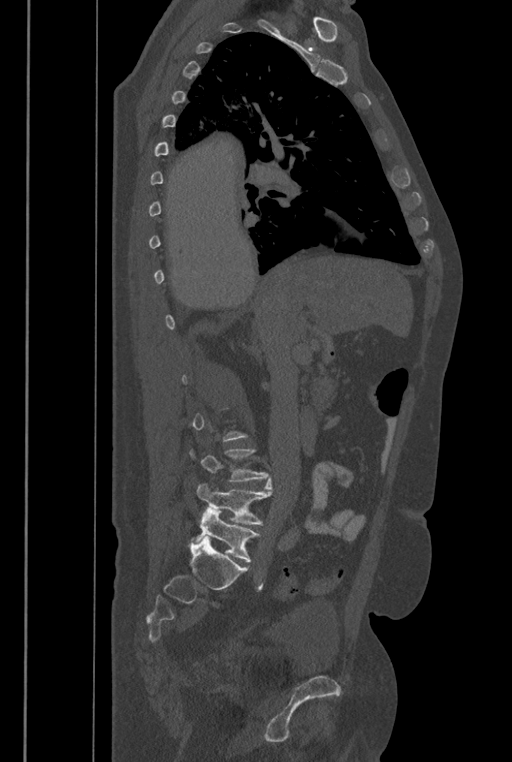

CT spine — sagittal view — W/L 1800/400 HU — 512x762 px — 446 mm across the image. Columns x1, y1, x2, y2 give each box's top-left and bottom-right pixels.
A vertebra gets a box only on the slices from the first to the last where its cross-section is at least a third of its largest; on a slice outside that range it gets none.
In these labels the spine has an L6, a sixth lumbar vertebra below L5.
| vertebra | x1 | y1 | x2 | y2 |
|---|---|---|---|---|
| L5 | 197 | 478 | 271 | 524 |
| L6 | 192 | 508 | 260 | 562 |